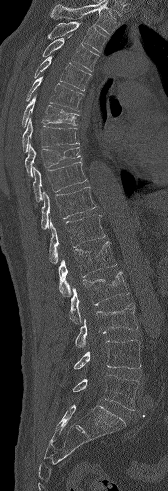

CT · sagittal view · 168x491 px
Bounding boxes as [x1, y1, x2, y2] in pixel coordinates.
Vertebrae that run past the top of the scan are left unlabeled.
T3: [47, 21, 108, 52]
T4: [42, 37, 98, 71]
T5: [34, 56, 91, 91]
T6: [26, 76, 83, 111]
T7: [22, 96, 78, 127]
T8: [22, 118, 79, 152]
T9: [25, 144, 80, 176]
T10: [33, 162, 87, 201]
T11: [41, 187, 96, 229]
T12: [49, 215, 105, 263]
L1: [58, 241, 116, 296]
L2: [69, 271, 128, 323]
L3: [75, 303, 138, 348]
L4: [73, 340, 141, 369]
L5: [72, 375, 139, 410]